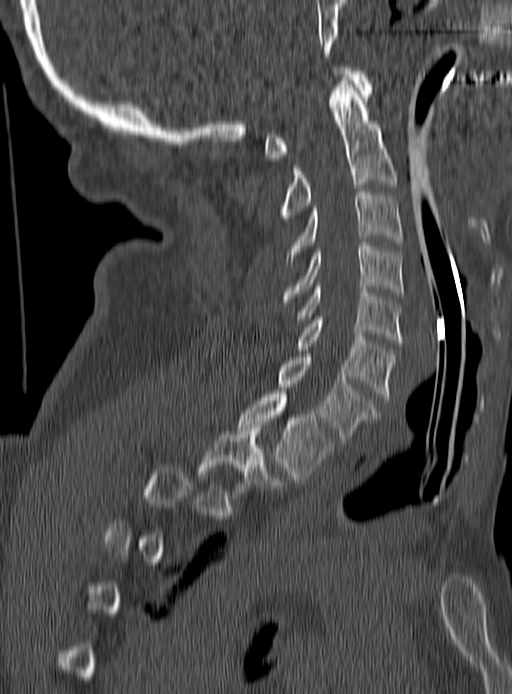
CT · sagittal view. Each box given as x1,y1,x2,y2. A vertebra gets a box only on the slices from the first to the last where its cross-section is at least a third of its largest; on a slice outside that range it gets none. Vertebrae labeled: C1 at x1=265, y1=67, x2=373, y2=161, C2 at x1=278, y1=77, x2=396, y2=225, C3 at x1=286, y1=189, x2=401, y2=265, C4 at x1=281, y1=243, x2=404, y2=302, C5 at x1=295, y1=283, x2=401, y2=343, C6 at x1=297, y1=317, x2=396, y2=400, C7 at x1=278, y1=354, x2=380, y2=440, T1 at x1=238, y1=391, x2=334, y2=481, T2 at x1=198, y1=424, x2=285, y2=498.